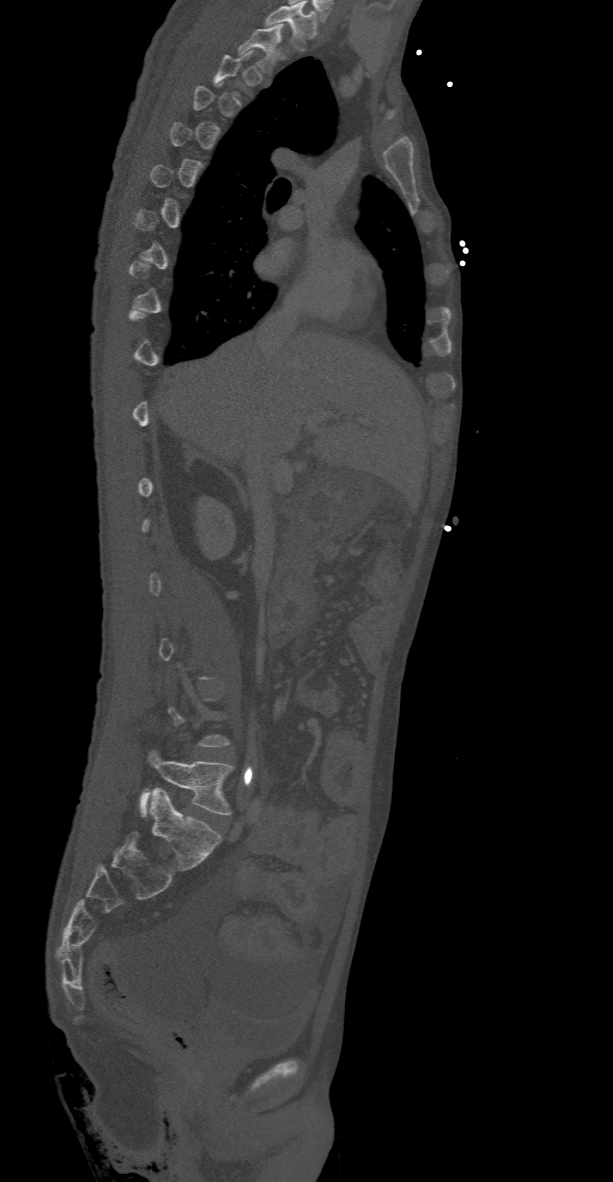
CT. sagittal reformat. Bone window (WL 400, WW 1800)
Box edges are left/top/right/bottom in pixels. A vertebra is boxed only from the first to the last slice where its cross-section is at least a third of its largest; slices outside that range leave it without a box. Labels in this scan begin with T2 at the top and end with L5 at the bottom. Vertebrae labeled: T2 at left=237, top=25, right=286, bottom=75, L5 at left=140, top=751, right=233, bottom=815.